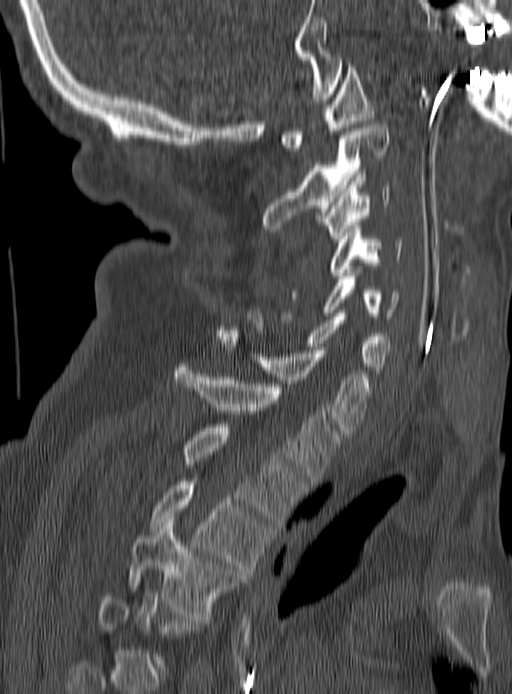
Spine computed tomography — sagittal view — bone window
Box edges are left/top/right/bottom in pixels. A vertebra is boxed only from the first to the last slice where its cross-section is at least a third of its largest; slices outside that range leave it without a box. Vertebrae labeled: T4 at left=128, top=519, right=242, bottom=619, T3 at left=149, top=478, right=269, bottom=575, T2 at left=181, top=424, right=304, bottom=524, T1 at left=173, top=364, right=339, bottom=484, C7 at left=217, top=333, right=369, bottom=434, C6 at left=247, top=310, right=391, bottom=373, C5 at left=286, top=269, right=400, bottom=319, C4 at left=330, top=226, right=404, bottom=279, C3 at left=319, top=175, right=390, bottom=242, C2 at left=262, top=125, right=388, bottom=231, C1 at left=281, top=64, right=373, bottom=151.